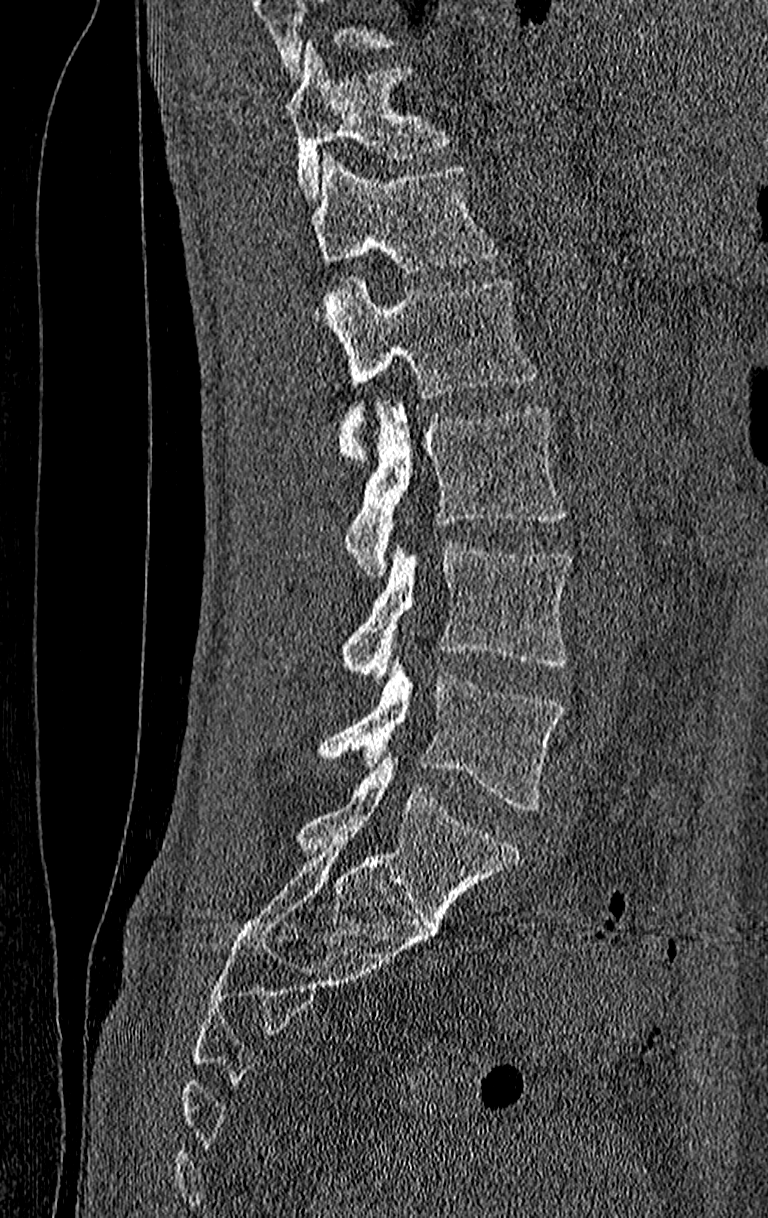 CT spine; sagittal reformat; Bone window (WL 400, WW 1800); image width 210 mm
Boxes below are [x1, y1, x2, y2] in pixels.
Vertebrae that run past the top of the scan are left unlabeled.
Labels in this scan begin with T11 at the top and end with L4 at the bottom.
{"vertebrae":{"L4":[320,662,565,812],"L3":[342,541,572,684],"L2":[346,403,565,573],"L1":[324,278,535,458],"T12":[310,155,499,274],"T11":[284,48,447,198]}}